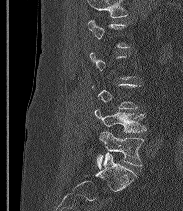 CT, spine; sagittal view. Bounding boxes as [x1, y1, x2, y2] in pixel coordinates. A vertebra gets a box only on the slices from the first to the last where its cross-section is at least a third of its largest; on a slice outside that range it gets none. The labels name a sixth lumbar vertebra for this spine: L6, after L5. The labeled vertebrae in this slice are: L5 at [94, 109, 146, 132], L6 at [96, 131, 144, 168].